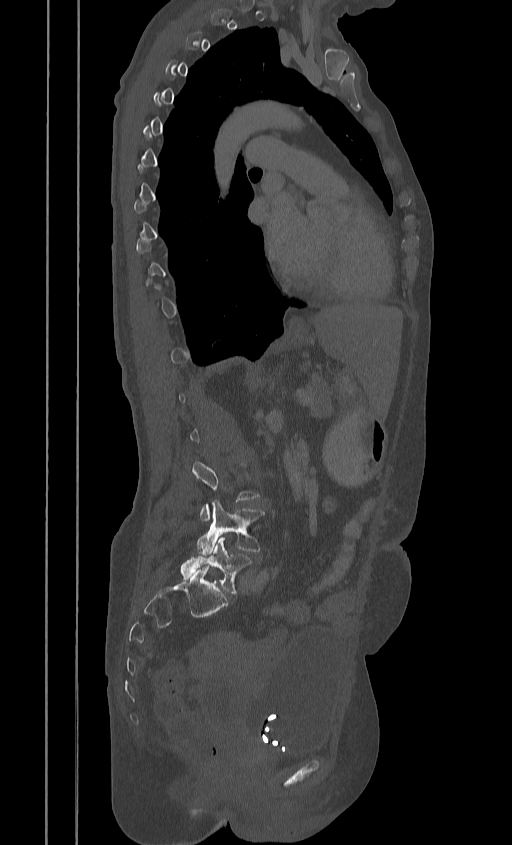

Spine computed tomography; sagittal reformat; W/L 1800/400 HU
Columns x1, y1, x2, y2 give each box's top-left and bottom-right pixels.
Not every vertebra on this slice has a box: a vertebra is boxed only from the first to the last slice where its cross-section is at least a third of its largest, and this slice is outside that range for at least one of them.
| vertebra | x1 | y1 | x2 | y2 |
|---|---|---|---|---|
| L5 | 180 | 536 | 251 | 592 |
| L4 | 197 | 501 | 264 | 555 |